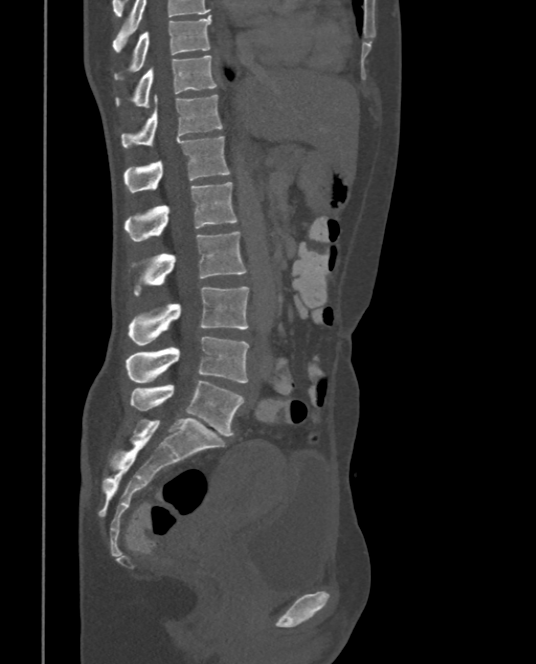

CT, spine — image 375 mm wide — sagittal view — bone window
Labels in this scan begin with T9 at the top and end with L5 at the bottom.
<vertebrae><v name="T9" x1="114" y1="16" x2="211" y2="79"/><v name="T10" x1="115" y1="56" x2="218" y2="107"/><v name="T11" x1="121" y1="94" x2="222" y2="147"/><v name="T12" x1="125" y1="136" x2="230" y2="193"/><v name="L1" x1="125" y1="181" x2="238" y2="242"/><v name="L2" x1="131" y1="231" x2="247" y2="296"/><v name="L3" x1="129" y1="286" x2="249" y2="345"/><v name="L4" x1="126" y1="336" x2="249" y2="383"/><v name="L5" x1="130" y1="380" x2="243" y2="436"/></vertebrae>